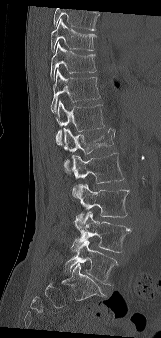 Computed tomography of the spine. sagittal view. image width 161 mm
Vertebrae that run past the top of the scan are left unlabeled.
<vertebrae><v name="T9" x1="50" y1="19" x2="96" y2="51"/><v name="T10" x1="50" y1="43" x2="96" y2="80"/><v name="T11" x1="51" y1="69" x2="100" y2="112"/><v name="T12" x1="56" y1="100" x2="104" y2="145"/><v name="L1" x1="64" y1="128" x2="115" y2="173"/><v name="L2" x1="72" y1="152" x2="124" y2="198"/><v name="L3" x1="72" y1="183" x2="129" y2="221"/><v name="L4" x1="73" y1="211" x2="132" y2="252"/><v name="L5" x1="63" y1="240" x2="118" y2="284"/></vertebrae>